CT, spine. sagittal view. W/L 1800/400 HU. 356x356 px
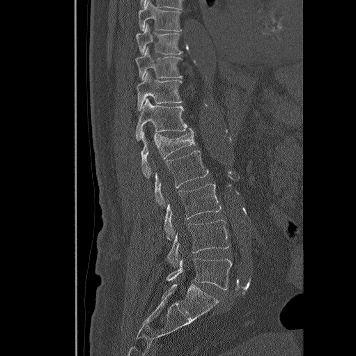
<vertebrae><v name="T8" x1="138" y1="0" x2="181" y2="31"/><v name="T9" x1="136" y1="23" x2="183" y2="54"/><v name="T10" x1="135" y1="47" x2="182" y2="79"/><v name="T11" x1="136" y1="72" x2="181" y2="111"/><v name="T12" x1="136" y1="98" x2="193" y2="141"/><v name="L1" x1="141" y1="132" x2="194" y2="176"/><v name="L2" x1="155" y1="150" x2="208" y2="204"/><v name="L3" x1="164" y1="182" x2="221" y2="240"/><v name="L4" x1="167" y1="220" x2="229" y2="267"/><v name="L5" x1="166" y1="258" x2="231" y2="289"/></vertebrae>